CT, spine. 187 mm across the image. sagittal plane, index 337. bone-window reconstruction
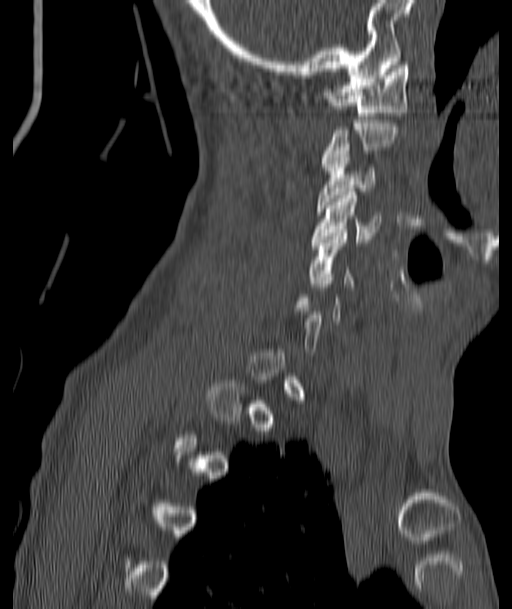 Each vertebra is boxed only on the slices from the first to the last where its cross-section reaches a third of its largest, so a slice outside that range leaves it unboxed.
<vertebrae><v name="C1" x1="324" y1="62" x2="408" y2="115"/><v name="C3" x1="316" y1="147" x2="375" y2="211"/><v name="C4" x1="312" y1="192" x2="380" y2="245"/><v name="C5" x1="308" y1="229" x2="356" y2="286"/></vertebrae>